Spine CT; sagittal plane, index 341
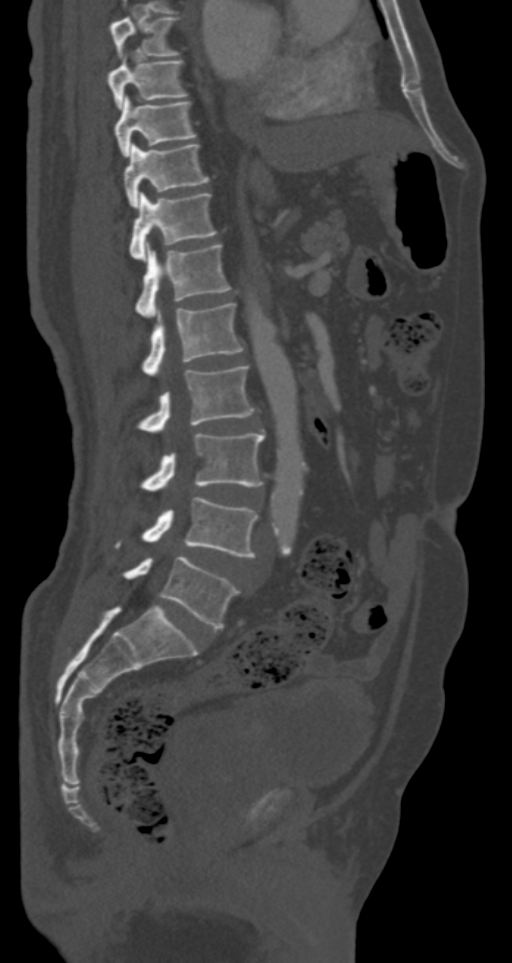 Coordinates as <box>x1,y1,x2,y2</box>.
L5: <box>123,556,239,628</box>
L4: <box>116,497,257,557</box>
L3: <box>141,433,264,491</box>
L2: <box>137,366,254,432</box>
L1: <box>141,303,243,375</box>
T12: <box>135,242,231,316</box>
T11: <box>130,192,216,259</box>
T10: <box>124,142,209,208</box>
T9: <box>116,94,197,158</box>
T8: <box>108,51,188,109</box>
T7: <box>110,16,181,58</box>